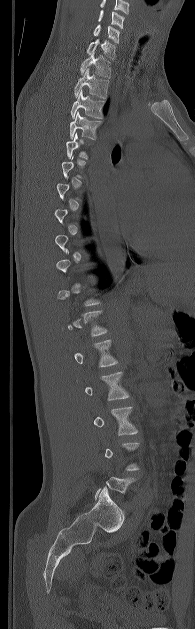

Spine computed tomography; sagittal view
Each box is [x1, y1, x2, y2] in pixels: top-left corner, then bottom-right corner.
Each vertebra is boxed only on the slices from the first to the last where its cross-section reaches a third of its largest, so a slice outside that range leaves it unboxed.
Labels in this scan begin with C5 at the top and end with L5 at the bottom.
{"vertebrae":{"C5":[98,10,124,28],"C6":[93,24,119,43],"C7":[86,39,115,59],"T1":[80,52,110,77],"T2":[74,68,108,98],"T3":[70,90,104,118],"T4":[69,112,101,139],"T5":[66,132,87,158],"L1":[74,339,117,366],"L2":[85,372,129,400],"L3":[93,407,137,435]}}